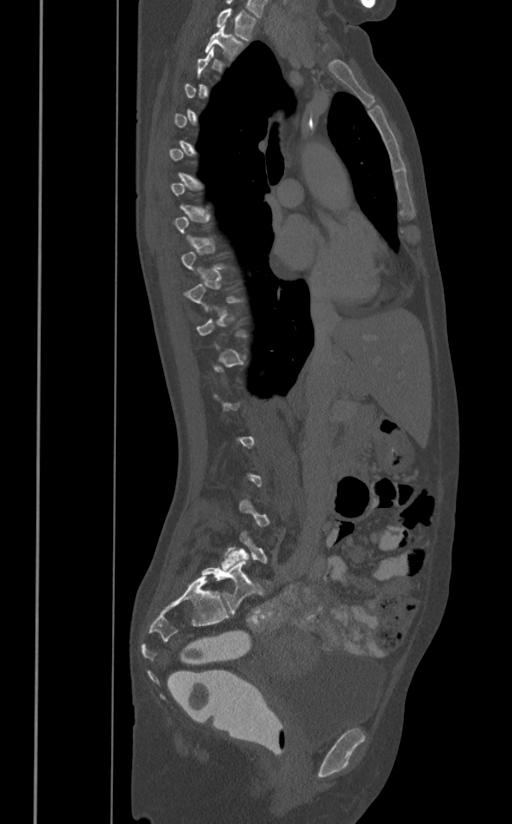
CT — image 391 mm wide — sagittal view — Bone window (WL 400, WW 1800) — 512x824 px
Boxes are (x1, y1, x2, y2) in pixels. Not every vertebra on this slice has a box: a vertebra is boxed only from the first to the last slice where its cross-section is at least a third of its largest, and this slice is outside that range for at least one of them. The labeled vertebrae in this slice are: T1 at (216, 8, 257, 40), T2 at (204, 25, 243, 60).